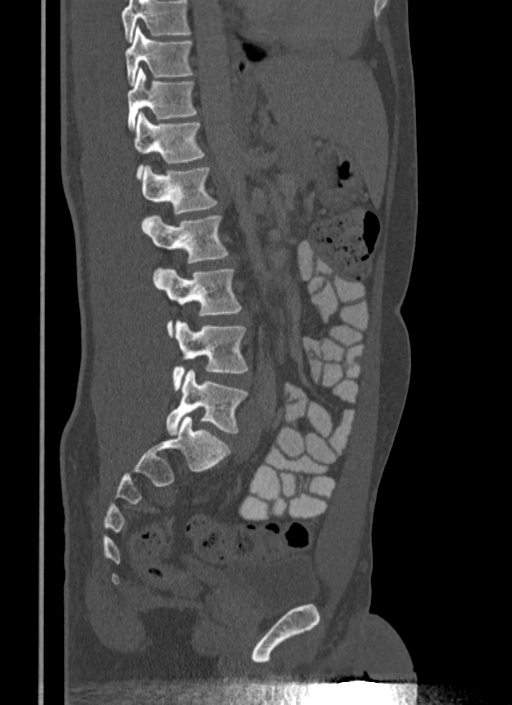
Spine computed tomography · the image spans 340 mm across · sagittal view
Each vertebra maps to its box as [x1, y1, x2, y2], the pixel coordinates of its top-left and bottom-right corners.
A vertebra cut off by the top edge of the scan is not labeled and has no box.
{"vertebrae":{"T10":[125,26,193,85],"T11":[128,69,196,129],"T12":[134,111,204,177],"L1":[141,166,217,214],"L2":[143,215,228,263],"L3":[153,268,241,330],"L4":[173,321,247,389],"L5":[165,370,247,434]}}